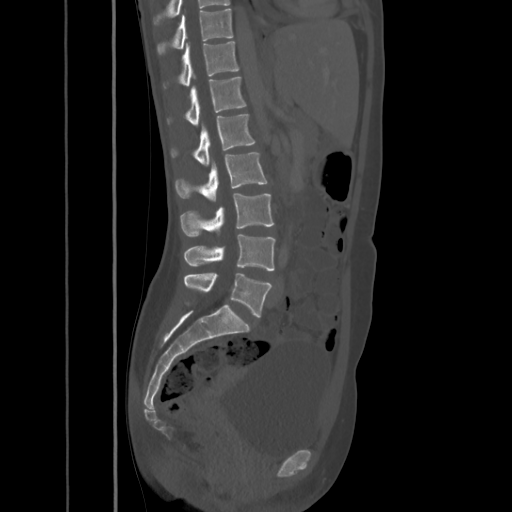 Spine computed tomography. sagittal view. 512x512 px
<vertebrae><v name="T10" x1="157" y1="9" x2="233" y2="55"/><v name="T11" x1="163" y1="41" x2="239" y2="88"/><v name="T12" x1="166" y1="76" x2="246" y2="124"/><v name="L1" x1="171" y1="113" x2="256" y2="165"/><v name="L2" x1="175" y1="152" x2="268" y2="200"/><v name="L3" x1="180" y1="193" x2="274" y2="236"/><v name="L4" x1="183" y1="234" x2="275" y2="270"/><v name="L5" x1="184" y1="272" x2="271" y2="317"/></vertebrae>